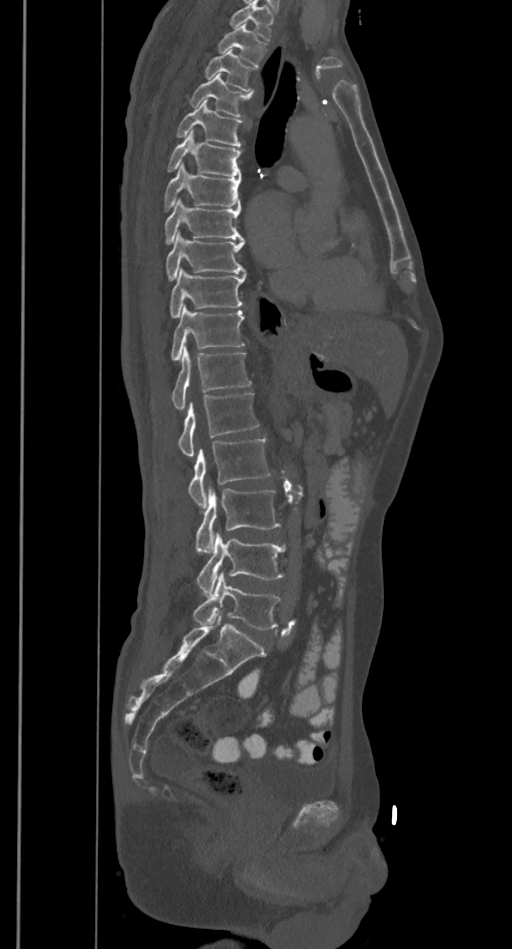

Computed tomography of the spine; 385 mm wide; sagittal reformat
Coordinates as <box>x1,y1,x2,y2</box>.
A vertebra cut off by the top edge of the scan is not labeled and has no box.
Vertebra bounding boxes:
- T2: <box>218,24,266,65</box>
- T3: <box>205,50,255,91</box>
- T4: <box>190,73,252,116</box>
- T5: <box>177,99,241,146</box>
- T6: <box>167,130,241,177</box>
- T7: <box>165,163,241,210</box>
- T8: <box>165,197,244,243</box>
- T9: <box>166,231,245,280</box>
- T10: <box>170,268,246,317</box>
- T11: <box>171,305,244,360</box>
- T12: <box>171,347,250,410</box>
- L1: <box>178,394,258,457</box>
- L2: <box>189,437,270,509</box>
- L3: <box>195,485,281,551</box>
- L4: <box>197,533,285,596</box>
- L5: <box>193,571,281,629</box>